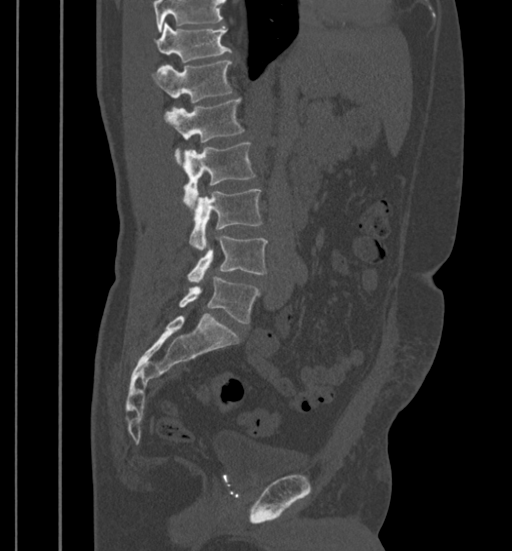 CT. sagittal view. 512x551 px
Bounding boxes as [x1, y1, x2, y2] in pixel coordinates.
A vertebra cut off by the top edge of the scan is not labeled and has no box.
T11: [154, 23, 230, 62]
T12: [151, 60, 232, 103]
L1: [163, 99, 244, 161]
L2: [182, 142, 255, 205]
L3: [190, 190, 262, 251]
L4: [187, 236, 267, 282]
L5: [178, 277, 259, 323]